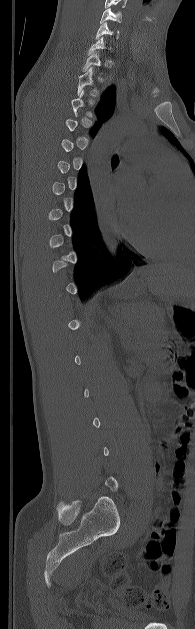 CT; 195 mm across the image; sagittal view; bone window. Box edges are left/top/right/bottom in pixels.
A vertebra is boxed only from the first to the last slice where its cross-section is at least a third of its largest; slices outside that range leave it without a box.
| vertebra | x1 | y1 | x2 | y2 |
|---|---|---|---|---|
| T2 | 77 | 67 | 98 | 96 |
| C6 | 95 | 22 | 119 | 39 |
| C5 | 100 | 8 | 121 | 23 |